Spine CT · sagittal view · scan covers 10 annotated vertebrae · part of the image is a flat gray fill, not anatomy
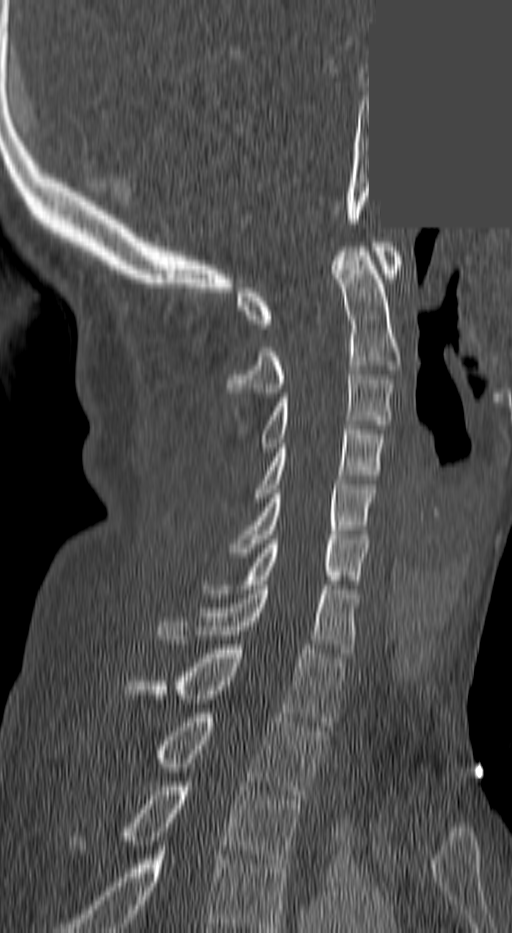 Box edges are left/top/right/bottom in pixels. In this scan, the topmost labeled vertebra is C1 and the lowest is T3. Vertebrae labeled: C1 at left=239, top=242, right=399, bottom=328, C2 at left=228, top=247, right=399, bottom=397, C3 at left=261, top=370, right=392, bottom=447, C4 at left=254, top=425, right=384, bottom=502, C5 at left=232, top=480, right=373, bottom=557, C6 at left=210, top=539, right=366, bottom=593, C7 at left=159, top=585, right=357, bottom=653, T1 at left=129, top=649, right=344, bottom=726, T2 at left=159, top=713, right=323, bottom=799, T3 at left=126, top=782, right=300, bottom=868.